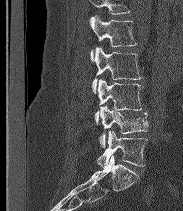
Computed tomography of the spine · sagittal view · Bone window (WL 400, WW 1800)

Boxes: x1:y1:x2:y2 in pixels.
No box is given to a vertebra that the top edge of the scan cuts off.
In these labels the spine has an L6, a sixth lumbar vertebra below L5.
L6: 97:130:147:167
L5: 99:106:148:147
L4: 95:79:143:124
L3: 92:47:142:93
L2: 90:15:136:61